Spine computed tomography — sagittal reformat
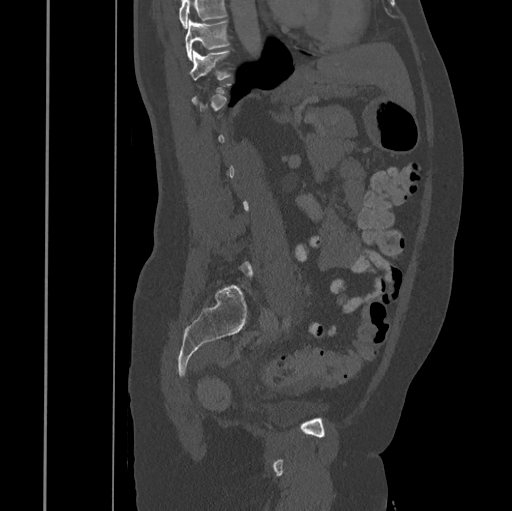
Box edges are left/top/right/bottom in pixels.
Each vertebra is boxed only on the slices from the first to the last where its cross-section reaches a third of its largest, so a slice outside that range leaves it unboxed.
A vertebra cut off by the top edge of the scan is not labeled and has no box.
| vertebra | x1 | y1 | x2 | y2 |
|---|---|---|---|---|
| T10 | 185 | 20 | 229 | 60 |
| T11 | 191 | 50 | 231 | 81 |